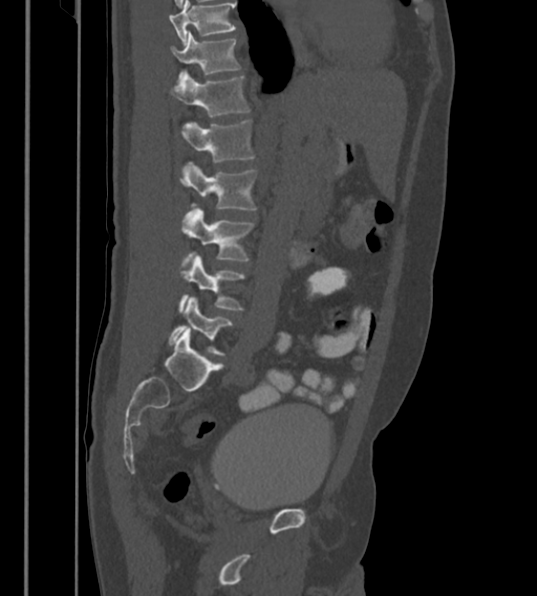

CT; sagittal reformat; 430 mm across the image; W/L 1800/400 HU
Boxes: x1:y1:x2:y2 in pixels.
Labels in this scan begin with T12 at the top and end with L6 at the bottom.
The labels name a sixth lumbar vertebra for this spine: L6, after L5.
T12: 170:31:240:80
L1: 170:71:250:118
L2: 181:120:254:163
L3: 181:161:256:214
L4: 182:207:254:265
L5: 178:255:244:313
L6: 169:297:233:355